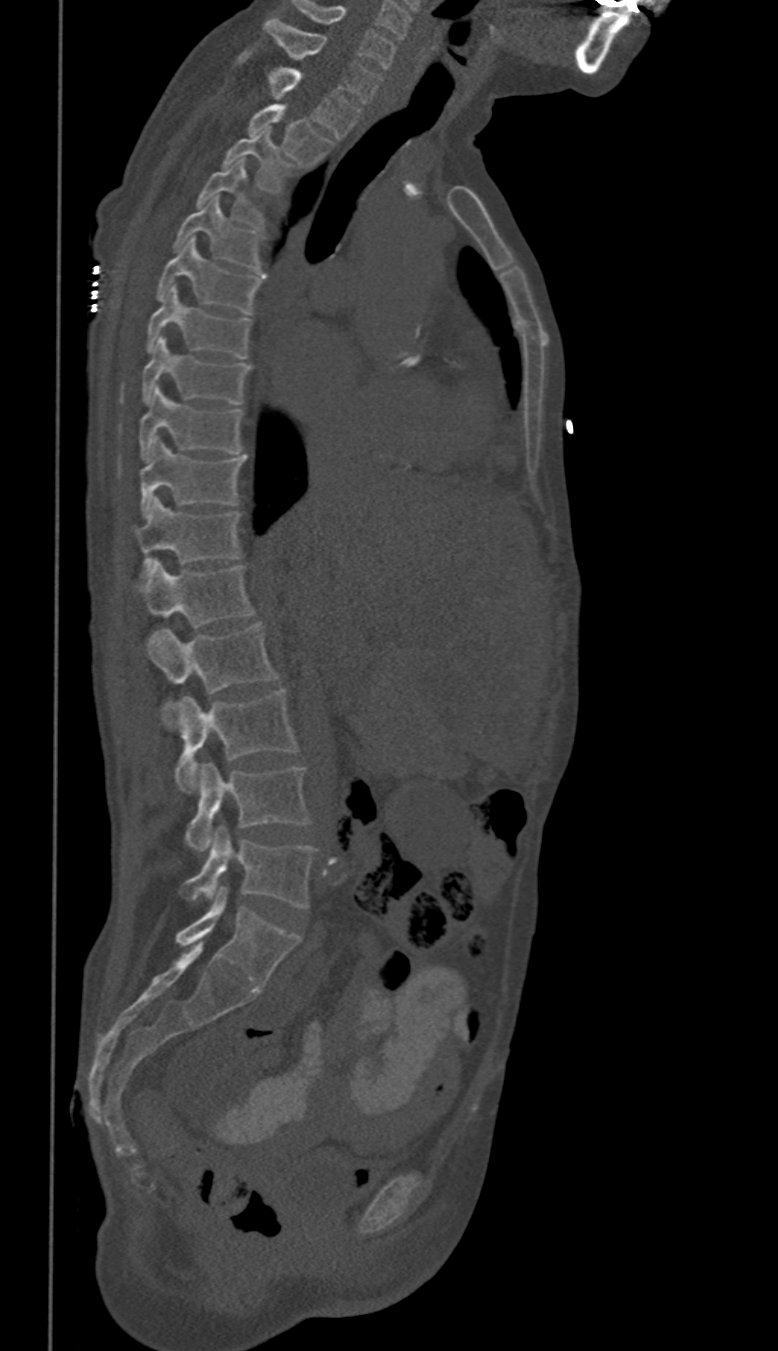
CT, spine. sagittal view
In these labels the spine has no T12: the thoracic vertebrae end at T11, and L1 comes next.
<vertebrae><v name="C6" x1="293" y1="2" x2="394" y2="68"/><v name="C7" x1="264" y1="18" x2="380" y2="102"/><v name="T1" x1="240" y1="49" x2="361" y2="137"/><v name="T2" x1="246" y1="105" x2="332" y2="166"/><v name="T3" x1="222" y1="129" x2="292" y2="193"/><v name="T4" x1="194" y1="160" x2="265" y2="226"/><v name="T5" x1="173" y1="196" x2="263" y2="273"/><v name="T6" x1="155" y1="238" x2="263" y2="315"/><v name="T7" x1="146" y1="287" x2="250" y2="357"/><v name="T8" x1="141" y1="336" x2="250" y2="404"/><v name="T9" x1="140" y1="387" x2="244" y2="462"/><v name="T10" x1="140" y1="438" x2="245" y2="515"/><v name="T11" x1="137" y1="498" x2="241" y2="577"/><v name="L1" x1="137" y1="560" x2="254" y2="626"/><v name="L2" x1="150" y1="623" x2="277" y2="728"/><v name="L3" x1="175" y1="689" x2="297" y2="793"/><v name="L4" x1="184" y1="763" x2="310" y2="851"/><v name="L5" x1="182" y1="827" x2="316" y2="908"/></vertebrae>